Computed tomography of the spine; sagittal plane, index 258
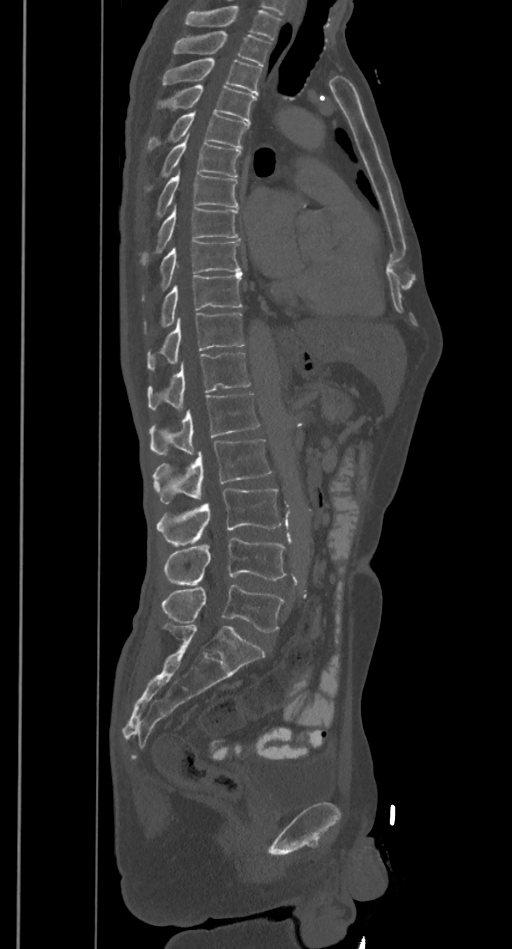
Where the top of the scan cuts through a vertebra, that vertebra gets no label or box.
<vertebrae><v name="T2" x1="173" y1="30" x2="271" y2="66"/><v name="T3" x1="162" y1="59" x2="261" y2="95"/><v name="T4" x1="157" y1="85" x2="257" y2="122"/><v name="T5" x1="146" y1="111" x2="248" y2="151"/><v name="T6" x1="145" y1="136" x2="241" y2="192"/><v name="T7" x1="154" y1="172" x2="238" y2="219"/><v name="T8" x1="139" y1="207" x2="238" y2="266"/><v name="T9" x1="142" y1="241" x2="241" y2="301"/><v name="T10" x1="143" y1="274" x2="242" y2="334"/><v name="T11" x1="147" y1="312" x2="245" y2="370"/><v name="T12" x1="147" y1="352" x2="250" y2="410"/><v name="L1" x1="149" y1="394" x2="259" y2="455"/><v name="L2" x1="153" y1="438" x2="271" y2="503"/><v name="L3" x1="157" y1="487" x2="282" y2="545"/><v name="L4" x1="165" y1="537" x2="286" y2="585"/><v name="L5" x1="162" y1="585" x2="285" y2="632"/></vertebrae>